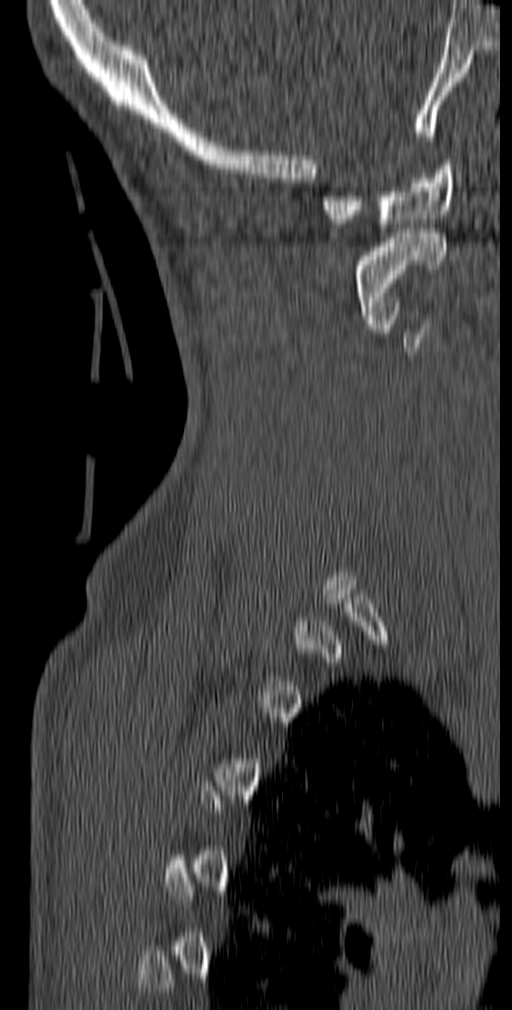 CT, spine; sagittal view; 140 mm across the image; Bone window (WL 400, WW 1800)

Each vertebra maps to its box as [x1, y1, x2, y2], the pixel coordinates of its top-left and bottom-right corners.
Not every vertebra on this slice has a box: a vertebra is boxed only from the first to the last slice where its cross-section is at least a third of its largest, and this slice is outside that range for at least one of them.
{"vertebrae":{"C1":[322,160,454,228],"C2":[356,229,446,319]}}